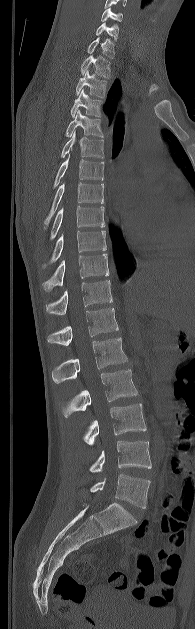

CT spine. sagittal view. 195x629 px. the image spans 195 mm across
Boxes: x1:y1:x2:y2 in pixels.
Vertebra bounding boxes:
- L5: 90:474:150:508
- L4: 89:441:151:472
- L3: 84:403:146:445
- L2: 62:369:137:417
- L1: 52:337:127:383
- T12: 47:308:118:345
- T11: 46:280:112:314
- T10: 42:254:109:291
- T9: 42:230:106:268
- T8: 50:206:105:239
- T7: 44:182:103:227
- T6: 53:155:104:187
- T5: 61:131:103:158
- T4: 65:109:103:137
- T3: 70:89:101:117
- T2: 76:70:107:97
- T1: 80:55:110:78
- C7: 87:37:114:58
- C6: 95:22:119:40
- C5: 101:7:122:21